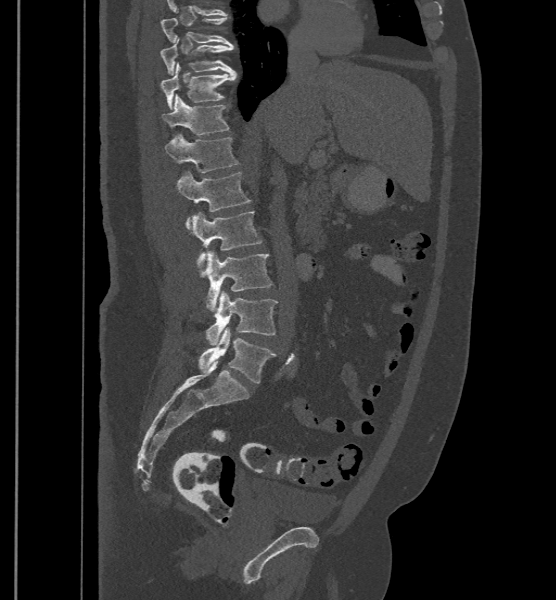 Computed tomography of the spine · sagittal view. Columns x1, y1, x2, y2 give each box's top-left and bottom-right pixels.
The labels name a sixth lumbar vertebra for this spine: L6, after L5.
| vertebra | x1 | y1 | x2 | y2 |
|---|---|---|---|---|
| T9 | 161 | 10 | 233 | 47 |
| T10 | 160 | 37 | 233 | 75 |
| T11 | 161 | 62 | 237 | 109 |
| T12 | 162 | 94 | 229 | 135 |
| L1 | 165 | 133 | 239 | 172 |
| L2 | 177 | 170 | 251 | 229 |
| L3 | 192 | 211 | 263 | 265 |
| L4 | 200 | 251 | 272 | 311 |
| L5 | 205 | 291 | 277 | 345 |
| L6 | 199 | 328 | 276 | 382 |